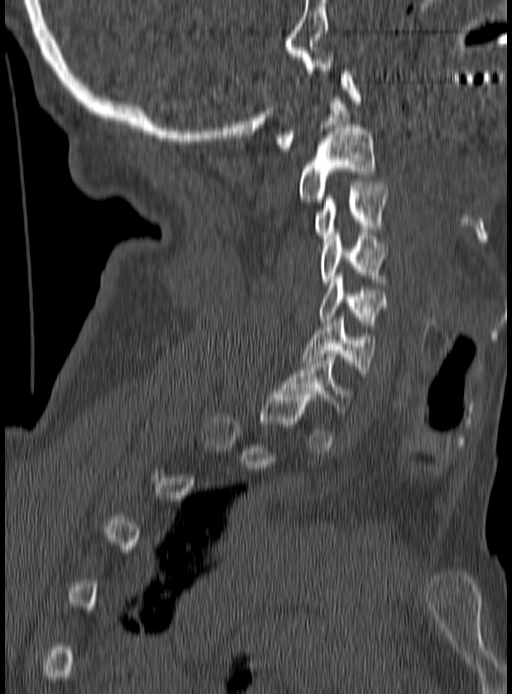
CT, spine. sagittal view. bone window. image width 190 mm

Columns x1, y1, x2, y2 give each box's top-left and bottom-right pixels.
A vertebra is boxed only from the first to the last slice where its cross-section is at least a third of its largest; slices outside that range leave it without a box.
| vertebra | x1 | y1 | x2 | y2 |
|---|---|---|---|---|
| C1 | 276 | 67 | 361 | 151 |
| C2 | 300 | 128 | 374 | 201 |
| C3 | 313 | 182 | 388 | 242 |
| C4 | 322 | 232 | 387 | 285 |
| C5 | 319 | 276 | 385 | 326 |
| C6 | 303 | 317 | 374 | 376 |
| C7 | 279 | 354 | 351 | 413 |